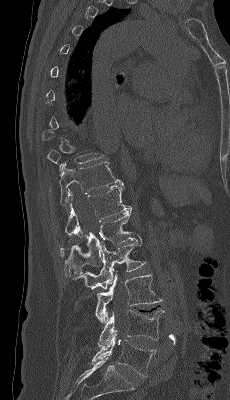
Spine CT — sagittal view — 230x400 px
Boxes are (x1, y1, x2, y2) in pixels. A vertebra gets a box only on the slices from the first to the last where its cross-section is at least a third of its largest; on a slice outside that range it gets none. The labeled vertebrae in this slice are: T11 at (59, 162, 122, 209), T12 at (64, 183, 131, 239), L1 at (60, 210, 135, 276), L2 at (72, 232, 145, 289), L3 at (95, 274, 162, 324), L4 at (98, 309, 164, 346), L5 at (91, 331, 156, 377).